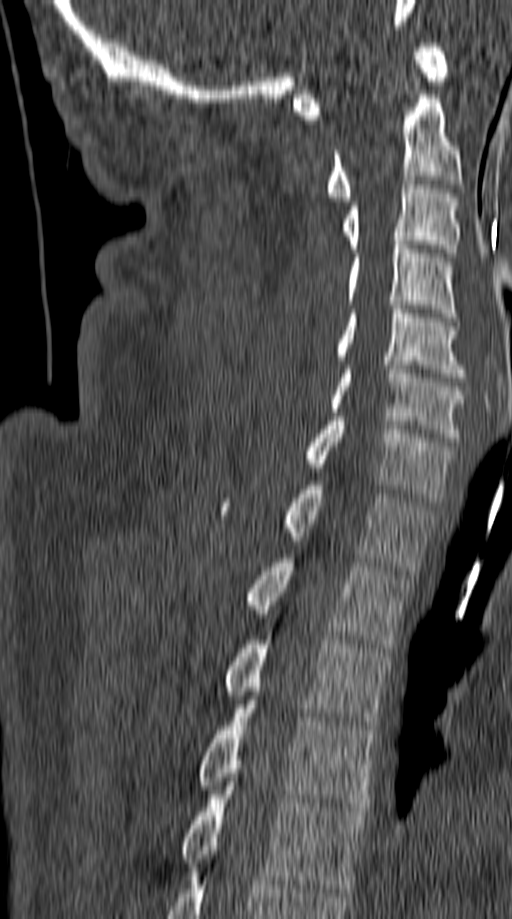

Computed tomography of the spine — sagittal view — bone-window reconstruction

Box edges are left/top/right/bottom in pixels.
| vertebra | x1 | y1 | x2 | y2 |
|---|---|---|---|---|
| T5 | 180 | 782 | 367 | 892 |
| T4 | 197 | 700 | 375 | 811 |
| T3 | 225 | 640 | 389 | 729 |
| T2 | 245 | 558 | 409 | 652 |
| T1 | 220 | 481 | 433 | 570 |
| C7 | 304 | 417 | 454 | 502 |
| C6 | 330 | 365 | 468 | 441 |
| C5 | 335 | 305 | 464 | 377 |
| C4 | 346 | 241 | 457 | 321 |
| C3 | 341 | 180 | 461 | 257 |
| C2 | 326 | 94 | 462 | 201 |
| C1 | 294 | 43 | 449 | 119 |